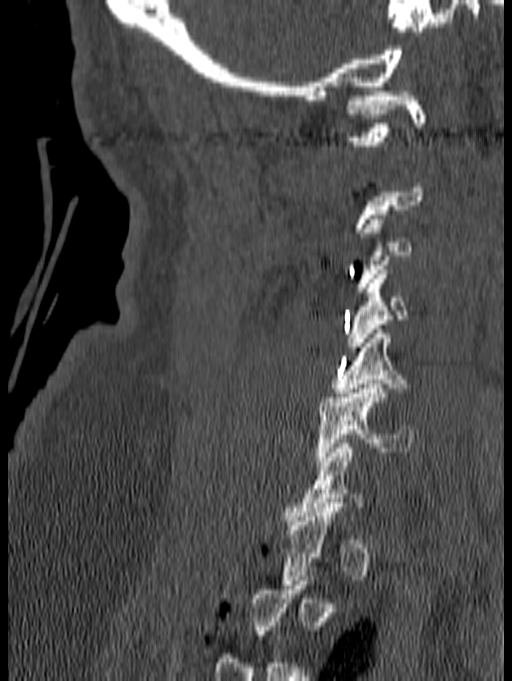
CT; 140 mm across the image; sagittal reformat
In the table, x1 and y1 are a box's top-left corner and x2 and y2 its bottom-right corner, in pixels.
A vertebra gets a box only on the slices from the first to the last where its cross-section is at least a third of its largest; on a slice outside that range it gets none.
| vertebra | x1 | y1 | x2 | y2 |
|---|---|---|---|---|
| C6 | 315 | 384 | 415 | 465 |
| C5 | 329 | 329 | 410 | 397 |
| C4 | 346 | 270 | 412 | 351 |
| C3 | 356 | 210 | 412 | 292 |
| C1 | 345 | 91 | 426 | 145 |